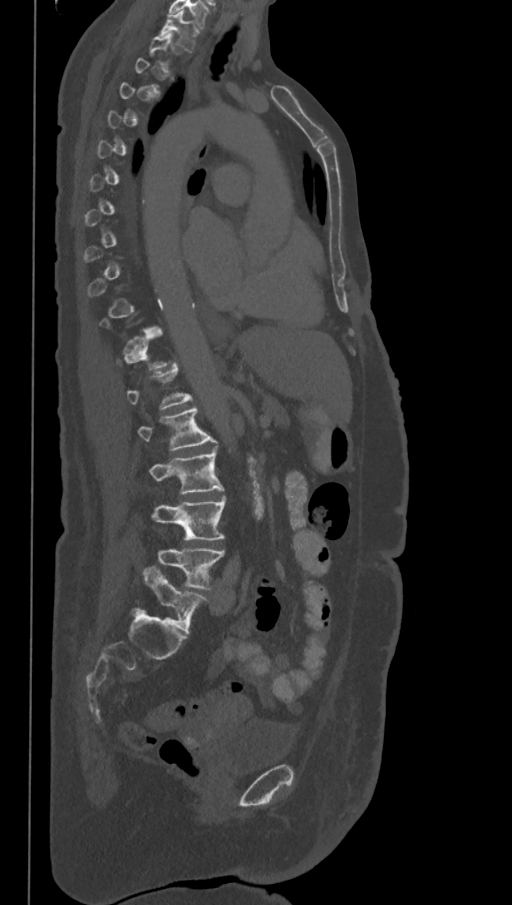 CT, spine · sagittal reformat · 368 mm wide · 512x905 px
A vertebra is boxed only from the first to the last slice where its cross-section is at least a third of its largest; slices outside that range leave it without a box.
In these labels the spine has an L6, a sixth lumbar vertebra below L5.
<vertebrae><v name="L6" x1="143" y1="566" x2="207" y2="633"/><v name="L5" x1="157" y1="548" x2="224" y2="589"/><v name="L4" x1="151" y1="498" x2="226" y2="540"/><v name="L3" x1="149" y1="451" x2="223" y2="494"/><v name="L2" x1="138" y1="406" x2="214" y2="451"/><v name="T1" x1="158" y1="11" x2="199" y2="50"/></vertebrae>